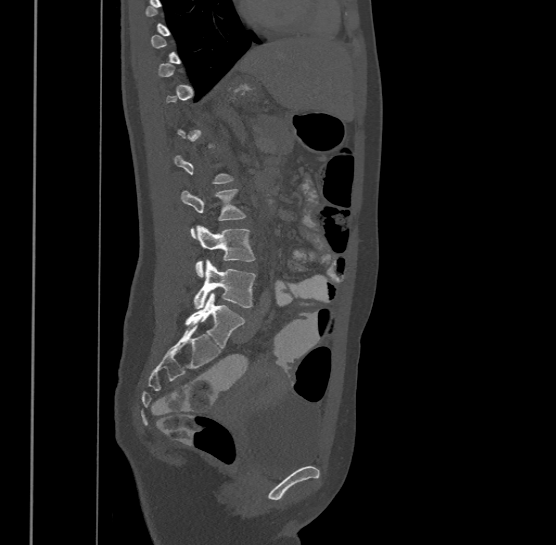 Spine CT — sagittal view

Bounding boxes as [x1, y1, x2, y2] in pixel coordinates.
Each vertebra is boxed only on the slices from the first to the last where its cross-section reaches a third of its largest, so a slice outside that range leaves it unboxed.
Labels in this scan begin with T9 at the top and end with L4 at the bottom.
Vertebra bounding boxes:
- L4: [193, 258, 256, 308]
- L3: [195, 225, 255, 276]
- L2: [181, 188, 245, 237]